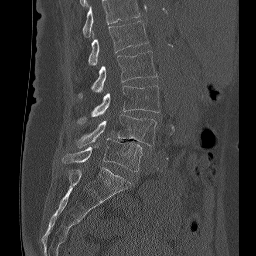 Computed tomography of the spine · sagittal reformat · image width 256 mm · Bone window (WL 400, WW 1800)
Boxes: x1:y1:x2:y2 in pixels.
This scan's labels start at L1 at the top and end at L5 at the bottom.
Vertebra bounding boxes:
- L1: 88:21:148:65
- L2: 78:51:157:96
- L3: 77:85:159:123
- L4: 76:114:156:147
- L5: 62:138:142:171